Computed tomography of the spine — sagittal reformat — W/L 1800/400 HU — 512x709 px — 8 vertebrae labeled in this scan
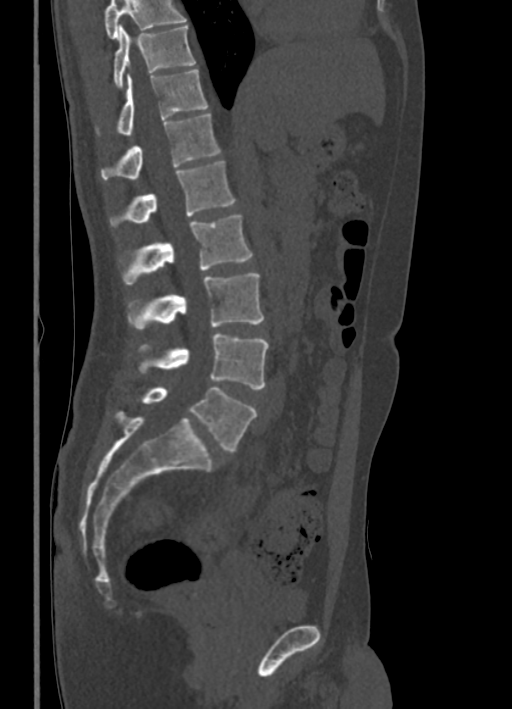
Boxes: x1 y1 x2 y2 (pixel coords, space-separated). No box is given to a vertebra that the top edge of the scan cuts off. The labeled vertebrae in this slice are: L5 at 140 387 256 451, L4 at 138 334 269 389, L3 at 128 273 264 330, L2 at 122 215 252 284, L1 at 109 160 235 226, T12 at 100 112 220 178, T11 at 96 68 208 134, T10 at 113 24 195 87.